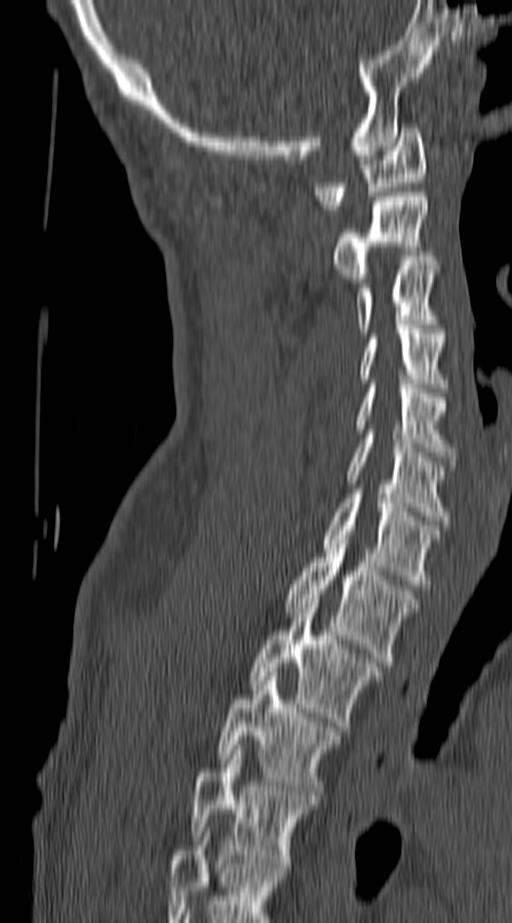

CT — sagittal reformat — the image is 140 mm wide

Columns x1, y1, x2, y2 give each box's top-left and bottom-right pixels.
This scan's labels start at C1 at the top and end at T4 at the bottom.
| vertebra | x1 | y1 | x2 | y2 |
|---|---|---|---|---|
| C1 | 316 | 123 | 425 | 209 |
| C2 | 334 | 192 | 428 | 282 |
| C3 | 355 | 261 | 438 | 333 |
| C4 | 360 | 329 | 443 | 388 |
| C5 | 356 | 384 | 454 | 456 |
| C6 | 347 | 434 | 450 | 525 |
| C7 | 323 | 489 | 439 | 584 |
| T1 | 284 | 539 | 417 | 666 |
| T2 | 250 | 599 | 381 | 726 |
| T3 | 221 | 672 | 340 | 799 |
| T4 | 192 | 745 | 315 | 868 |